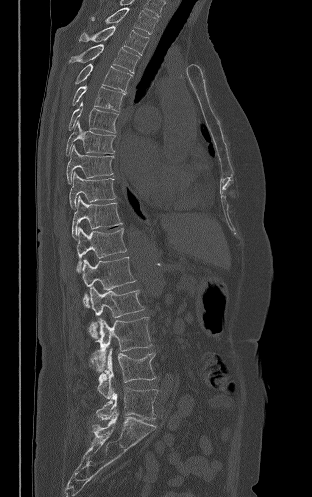 Spine computed tomography — sagittal view — Bone window (WL 400, WW 1800)
Boxes are (x1, y1, x2, y2) in pixels.
T2: (92, 8, 157, 34)
T3: (79, 26, 148, 55)
T4: (69, 44, 139, 73)
T5: (75, 63, 132, 92)
T6: (72, 86, 125, 111)
T7: (68, 101, 118, 133)
T8: (66, 120, 115, 155)
T9: (66, 144, 113, 183)
T10: (69, 172, 116, 208)
T11: (72, 196, 122, 238)
T12: (76, 226, 126, 272)
L1: (82, 257, 135, 307)
L2: (89, 286, 144, 338)
L3: (89, 317, 152, 371)
L4: (90, 348, 155, 399)
L5: (96, 388, 157, 420)